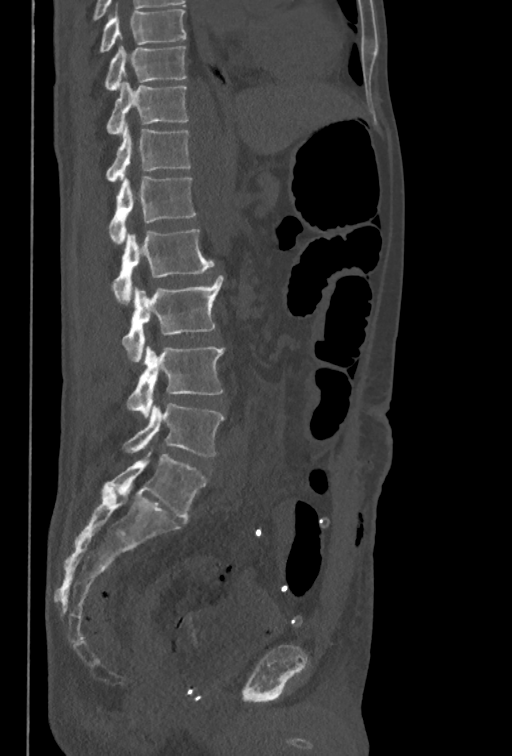

CT — the image is 350 mm wide — sagittal view — 512x756 px
Columns x1, y1, x2, y2 give each box's top-left and bottom-right pixels.
The highest labeled vertebra in this scan is T10; the lowest is L5.
| vertebra | x1 | y1 | x2 | y2 |
|---|---|---|---|---|
| L5 | 122 | 403 | 224 | 456 |
| L4 | 127 | 345 | 224 | 418 |
| L3 | 123 | 275 | 223 | 361 |
| L2 | 112 | 229 | 214 | 304 |
| L1 | 108 | 176 | 196 | 243 |
| T12 | 105 | 124 | 190 | 182 |
| T11 | 107 | 82 | 187 | 133 |
| T10 | 105 | 45 | 186 | 91 |